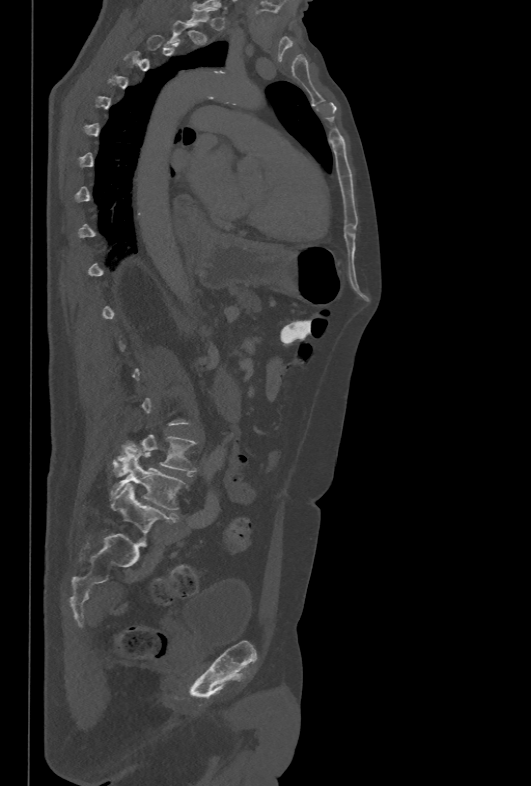
Spine CT. sagittal view. bone-window reconstruction
Boxes are given in columns x1, y1, x2, y2, the pixel coordinates of their top-left and bottom-right corners.
Not every vertebra on this slice has a box: a vertebra is boxed only from the first to the last slice where its cross-section is at least a third of its largest, and this slice is outside that range for at least one of them.
| vertebra | x1 | y1 | x2 | y2 |
|---|---|---|---|---|
| L4 | 113 | 434 | 198 | 476 |
| L5 | 110 | 453 | 185 | 509 |